CT · Sagittal slice 290/768 · 768x1218 px
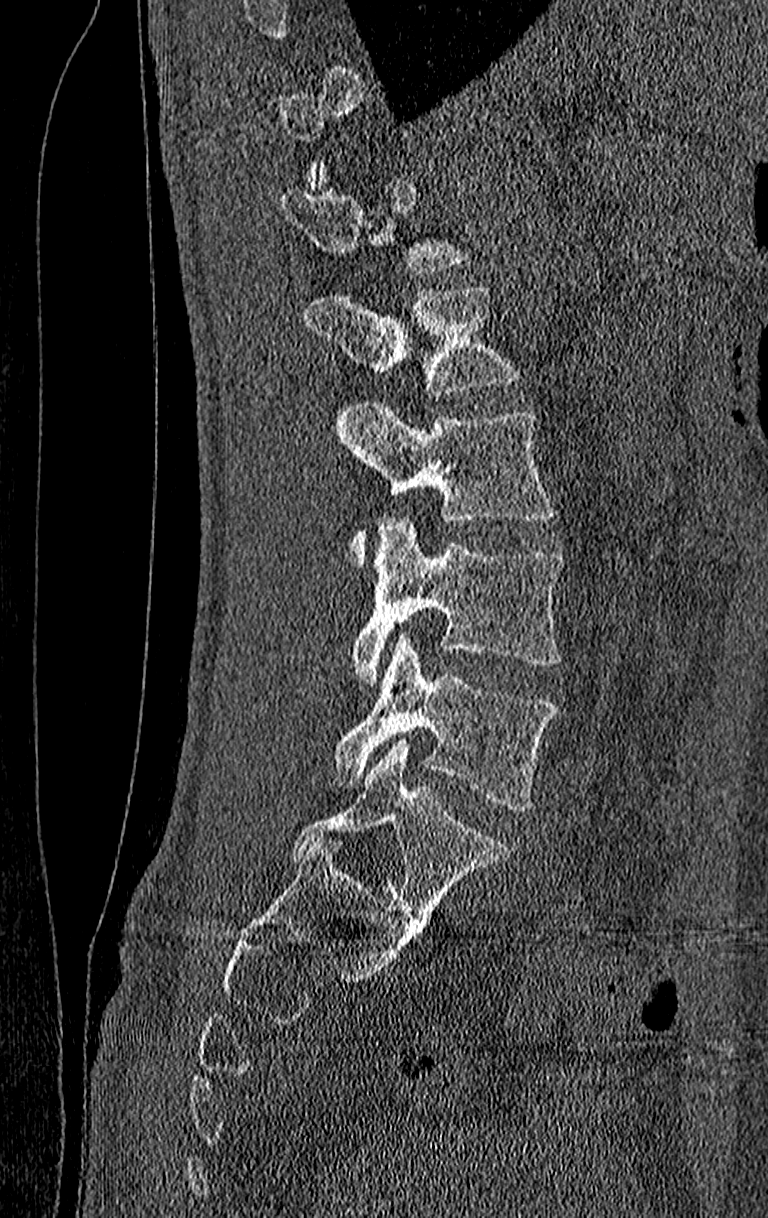
A vertebra gets a box only on the slices from the first to the last where its cross-section is at least a third of its largest; on a slice outside that range it gets none.
Labels in this scan begin with T11 at the top and end with L4 at the bottom.
<vertebrae><v name="L1" x1="306" y1="286" x2="517" y2="396"/><v name="L2" x1="335" y1="403" x2="554" y2="563"/><v name="L3" x1="353" y1="517" x2="561" y2="680"/><v name="L4" x1="331" y1="634" x2="557" y2="812"/></vertebrae>